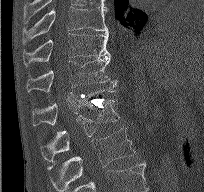
Spine computed tomography · sagittal view
Boxes are (x1, y1, x2, y2) in pixels. The labeled vertebrae in this slice are: L2 at (47, 127, 135, 189), L1 at (41, 99, 119, 158), T12 at (32, 89, 115, 125), T11 at (26, 55, 118, 92), T10 at (23, 33, 109, 66), T9 at (22, 6, 108, 43).